CT; sagittal plane, index 95; 222 mm image width; 222x589 px
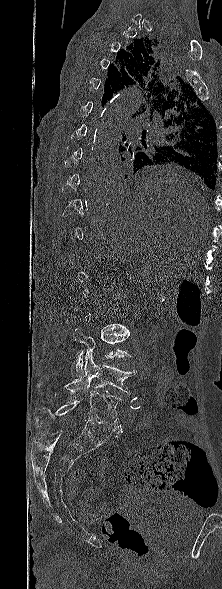

Coordinates as <box>x1,y1,x2,y2</box>.
Each vertebra is boxed only on the slices from the first to the last where its cross-section reaches a third of its largest, so a slice outside that range leaves it unboxed.
Vertebra bounding boxes:
- L3: <box>71,328,132,376</box>
- L4: <box>37,350,137,394</box>
- L5: <box>35,391,123,433</box>